CT — the image spans 369 mm across — sagittal view — Bone window (WL 400, WW 1800)
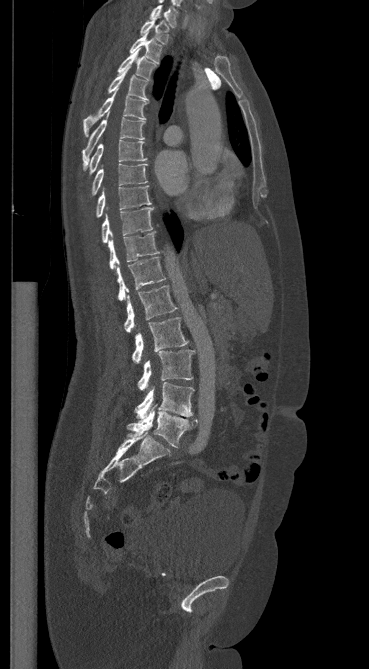

Boxes: x1:y1:x2:y2 in pixels.
Vertebra bounding boxes:
- C7: 150:5:177:27
- T1: 140:17:168:43
- T2: 129:32:161:63
- T3: 117:49:154:80
- T4: 108:67:148:100
- T5: 83:88:149:135
- T6: 82:114:145:171
- T7: 89:140:146:175
- T8: 91:163:147:195
- T9: 95:186:151:217
- T10: 101:207:153:243
- T11: 108:232:158:269
- T12: 116:257:165:300
- L1: 124:285:176:332
- L2: 132:317:188:363
- L3: 137:350:193:390
- L4: 134:382:193:419
- L5: 127:407:197:447